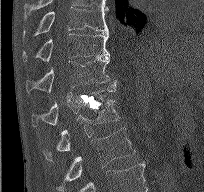 Spine computed tomography — sagittal view — W/L 1800/400 HU
Each box is [x1, y1, x2, y2] in pixels: top-left corner, then bottom-right corner.
{"vertebrae":{"T9":[24,7,110,35],"T10":[23,33,108,62],"T11":[26,56,117,92],"T12":[31,88,115,126],"L1":[44,99,119,158],"L2":[57,127,135,189]}}